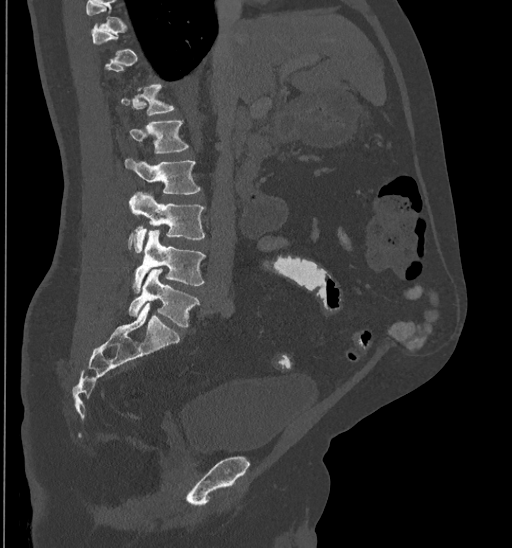

Computed tomography of the spine; 435 mm across the image; sagittal view; bone-window reconstruction; 512x548 px
Coordinates as <box>x1,y1,x2,y2</box>. A vertebra gets a box only on the slices from the first to the last where its cross-section is at least a third of its largest; on a slice outside that range it gets none. 5 vertebrae labeled — L1 at <box>129,121,188,153</box>; L2 at <box>125,158,200,194</box>; L3 at <box>128,191,205,252</box>; L4 at <box>132,230,205,292</box>; L5 at <box>128,269,199,326</box>.